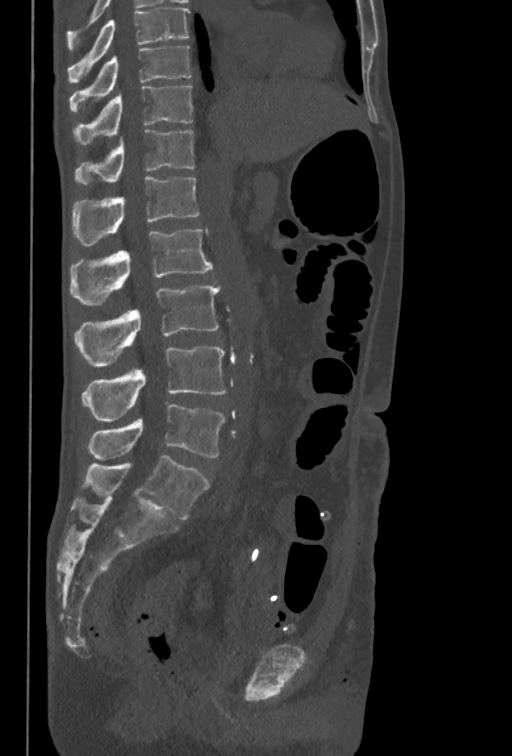 CT spine — 350 mm across the image — sagittal view
Box values are [left, top, right, bottom] in pixels.
The highest labeled vertebra in this scan is T10; the lowest is L5.
{"vertebrae":{"T10":[70,46,190,111],"T11":[73,86,192,145],"T12":[74,129,195,185],"L1":[72,176,199,245],"L2":[70,229,212,304],"L3":[74,284,221,366],"L4":[82,346,226,422],"L5":[88,404,224,460]}}